Spine CT; sagittal view
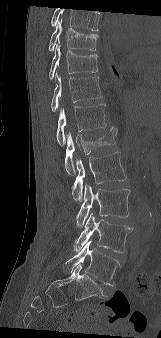

Each box given as x1,y1,x2,y2.
A vertebra cut off by the top edge of the scan is not labeled and has no box.
Vertebra bounding boxes:
- T9: x1=48, y1=19, x2=98, y2=51
- T10: x1=49, y1=44, x2=98, y2=79
- T11: x1=51, y1=72, x2=102, y2=111
- T12: x1=56, y1=104, x2=106, y2=145
- L1: x1=65, y1=126, x2=117, y2=174
- L2: x1=72, y1=152, x2=126, y2=201
- L3: x1=76, y1=184, x2=130, y2=227
- L4: x1=74, y1=212, x2=133, y2=253
- L5: x1=63, y1=239, x2=120, y2=286